CT spine. 430 mm across the image. sagittal reformat
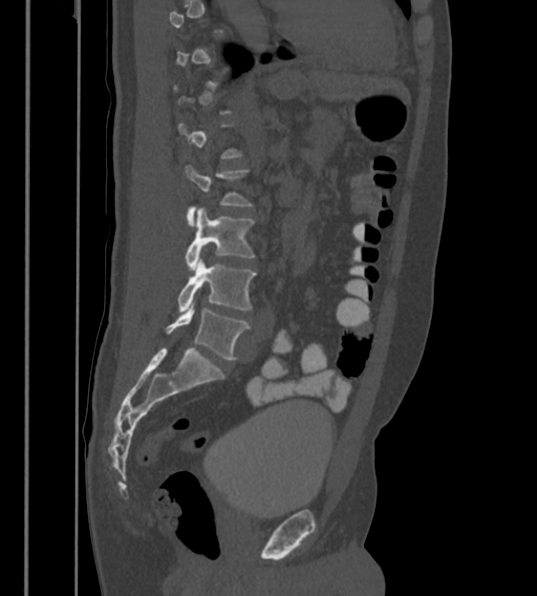 Boxes: x1:y1:x2:y2 in pixels.
Not every vertebra on this slice has a box: a vertebra is boxed only from the first to the last slice where its cross-section is at least a third of its largest, and this slice is outside that range for at least one of them.
These labels give the spine a sixth lumbar vertebra, L6, below L5.
Vertebra bounding boxes:
- L3: 184:165:252:225
- L4: 185:207:254:270
- L5: 177:257:255:313
- L6: 166:300:250:360